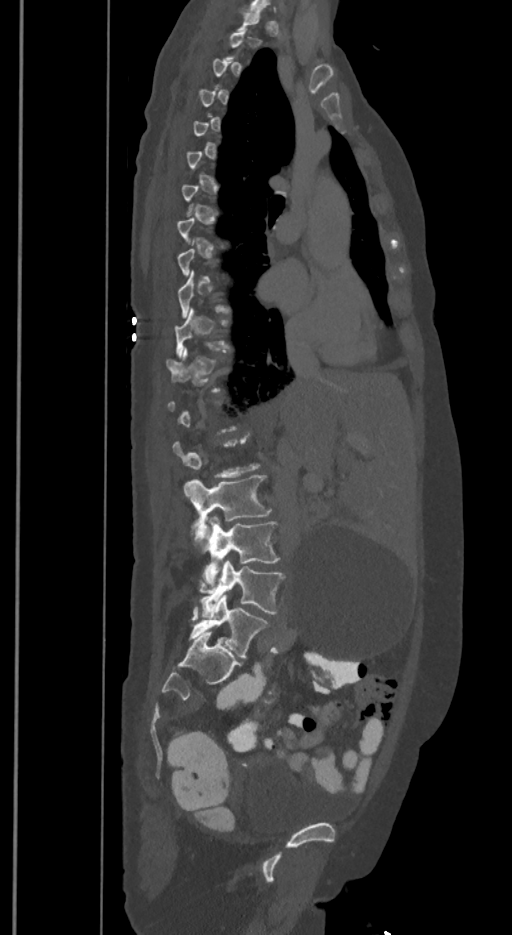 Spine CT · image width 350 mm · sagittal view
A vertebra gets a box only on the slices from the first to the last where its cross-section is at least a third of its largest; on a slice outside that range it gets none.
The labels name a sixth lumbar vertebra for this spine: L6, after L5.
<vertebrae><v name="L6" x1="188" y1="594" x2="268" y2="657"/><v name="L5" x1="200" y1="561" x2="285" y2="616"/><v name="L4" x1="195" y1="516" x2="280" y2="588"/><v name="L3" x1="184" y1="475" x2="271" y2="545"/><v name="T12" x1="167" y1="346" x2="221" y2="391"/><v name="T11" x1="175" y1="307" x2="230" y2="356"/></vertebrae>